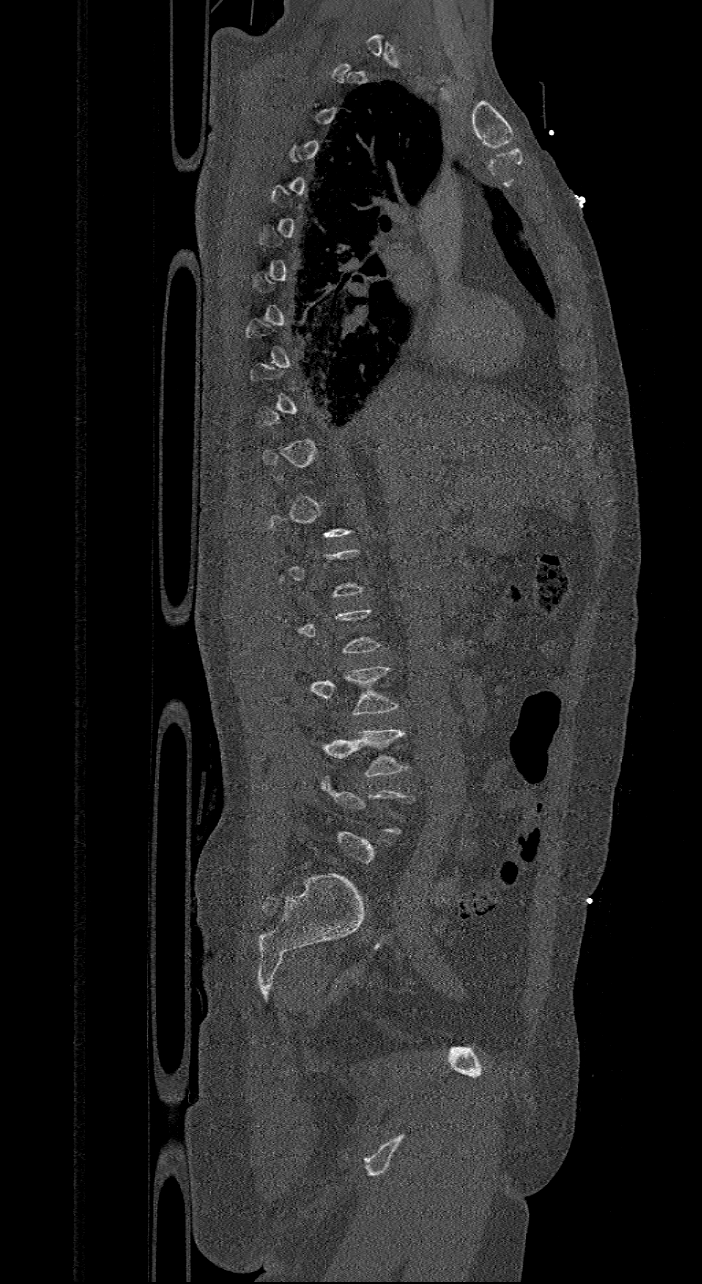 CT. sagittal reformat. 421 mm wide. bone window
Each box is [x1, y1, x2, y2] in pixels: top-left corner, then bottom-right corner.
Each vertebra is boxed only on the slices from the first to the last where its cross-section reaches a third of its largest, so a slice outside that range leaves it unboxed.
{"vertebrae":{"L4":[311,728,409,777],"L3":[310,666,399,715]}}